CT · sagittal plane, index 96 · bone window · some of the image was removed or blocked out with constant pixels
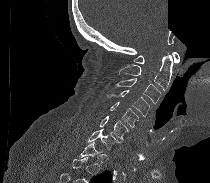

Coordinates as <box>x1,y1,x2,y2</box>.
A vertebra is boxed only from the first to the last slice where its cross-section is at least a third of its largest; slices outside that range leave it without a box.
Vertebra bounding boxes:
- C7: <box>88,129,119,149</box>
- C6: <box>100,116,128,142</box>
- C5: <box>110,101,138,127</box>
- C4: <box>107,90,150,116</box>
- C3: <box>114,78,161,104</box>
- C2: <box>119,53,172,90</box>
- C1: <box>134,52,179,64</box>